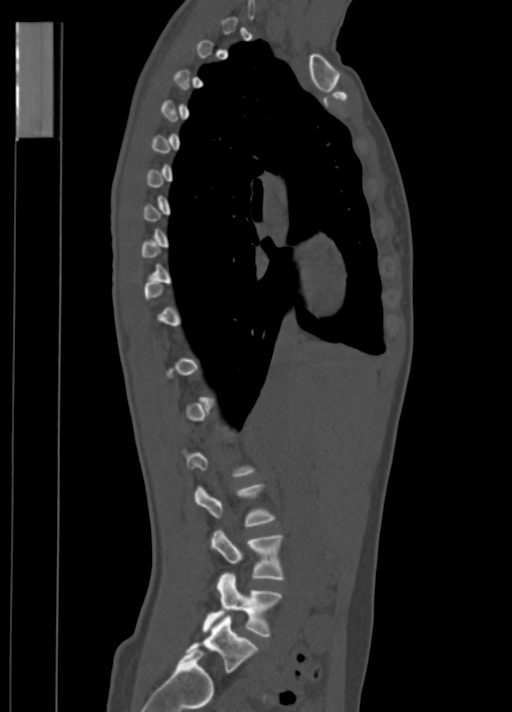 Spine CT · sagittal view
Boxes are (x1, y1, x2, y2) in pixels.
Not every vertebra on this slice has a box: a vertebra is boxed only from the first to the last slice where its cross-section is at least a third of its largest, and this slice is outside that range for at least one of them.
L5: (187, 616, 258, 672)
L4: (203, 573, 283, 637)
L3: (210, 530, 284, 580)
L2: (194, 484, 275, 527)